CT · Sagittal slice 260/512 · bone window · 18 vertebrae labeled in this scan · 400 mm across the image
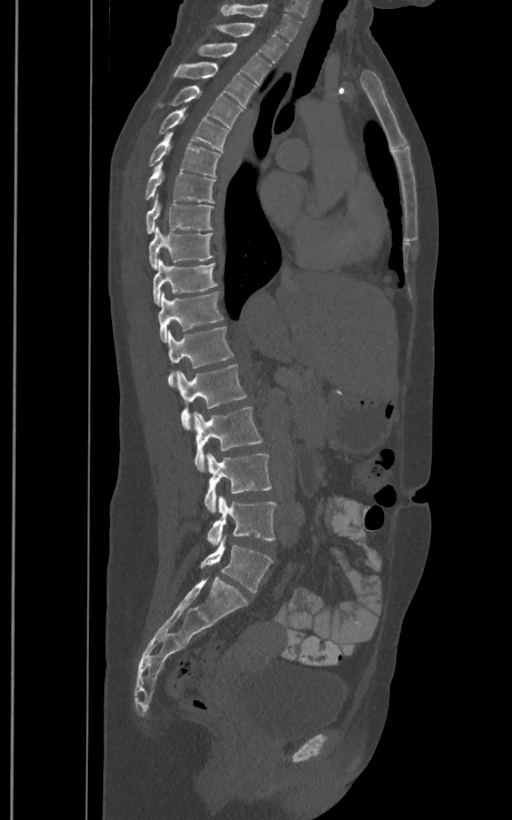
Boxes: x1:y1:x2:y2 in pixels. These labels give the spine a sixth lumbar vertebra, L6, below L5. 18 vertebrae labeled — T1 at 220:3:301:42; T2 at 215:23:288:62; T3 at 197:43:271:90; T4 at 173:62:256:106; T5 at 157:85:243:127; T6 at 159:107:229:151; T7 at 148:132:220:176; T8 at 144:161:215:203; T9 at 146:197:214:233; T10 at 148:227:213:269; T11 at 152:259:218:304; T12 at 157:291:224:342; L1 at 167:326:233:387; L2 at 176:365:247:429; L3 at 192:407:263:471; L4 at 205:453:271:512; L5 at 207:495:277:545; L6 at 200:536:273:592.